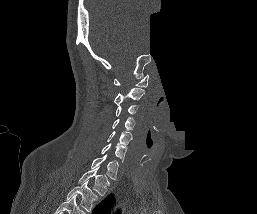

CT, spine — sagittal view — the image is 257 mm wide — 257x214 px — part of the image is constant black where the scan was masked. Box edges are left/top/right/bottom in pixels.
Labels in this scan begin with C1 at the top and end with T1 at the bottom.
Vertebra bounding boxes:
- C1: left=113, top=74, right=148, bottom=87
- C2: left=113, top=88, right=144, bottom=105
- C3: left=115, top=105, right=138, bottom=116
- C4: left=112, top=117, right=135, bottom=131
- C5: left=107, top=131, right=132, bottom=144
- C6: left=101, top=143, right=127, bottom=162
- C7: left=91, top=154, right=118, bottom=179
- T1: left=78, top=167, right=109, bottom=195